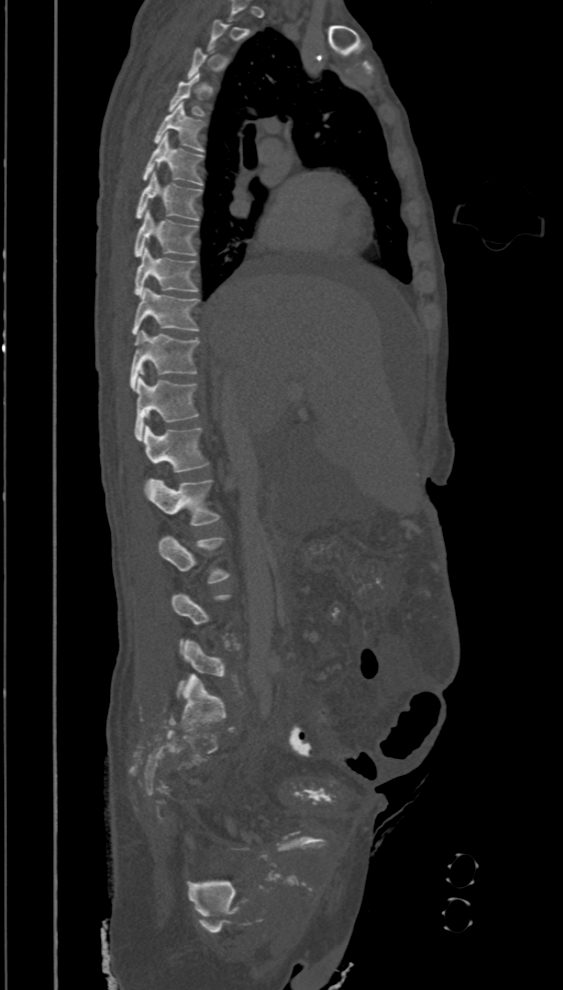
CT · image 394 mm wide · sagittal view
Each row gives a vertebra's box as x1, y1, x2, y2 in pixels: top-left corner, then bottom-right corner.
Each vertebra is boxed only on the slices from the first to the last where its cross-section reaches a third of its largest, so a slice outside that range leaves it unboxed.
| vertebra | x1 | y1 | x2 | y2 |
|---|---|---|---|---|
| L3 | 158 | 535 | 230 | 583 |
| L2 | 144 | 479 | 220 | 525 |
| L1 | 144 | 425 | 209 | 472 |
| T12 | 134 | 376 | 199 | 441 |
| T11 | 130 | 330 | 199 | 391 |
| T10 | 131 | 287 | 199 | 336 |
| T9 | 134 | 247 | 199 | 295 |
| T8 | 134 | 210 | 198 | 256 |
| T7 | 135 | 172 | 201 | 221 |
| T6 | 141 | 133 | 203 | 185 |
| T5 | 153 | 102 | 206 | 152 |
| T4 | 168 | 73 | 205 | 116 |